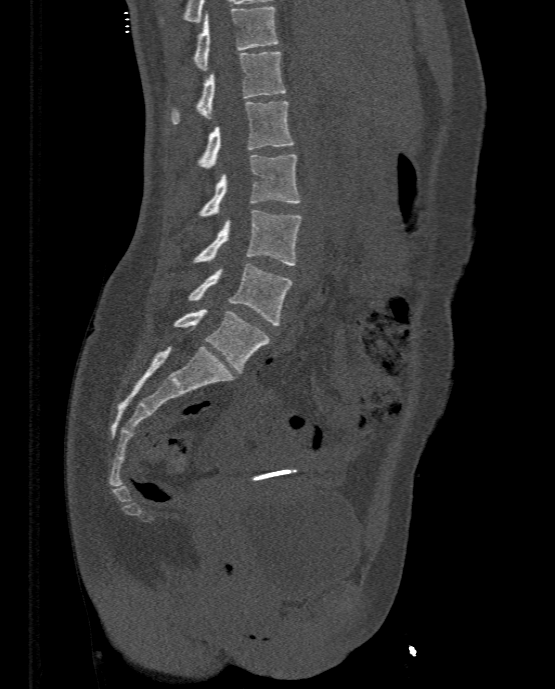 CT spine. sagittal view. 555x689 px

Bounding boxes as [x1, y1, x2, y2] in pixel coordinates.
Vertebra bounding boxes:
- L5: [173, 309, 269, 373]
- L4: [188, 263, 292, 325]
- L3: [193, 210, 303, 265]
- L2: [198, 154, 300, 216]
- L1: [198, 101, 294, 168]
- T12: [171, 51, 285, 124]
- T11: [193, 6, 279, 69]